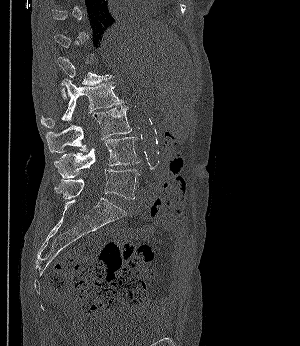 Spine CT. sagittal reformat. Boxes: x1:y1:x2:y2 in pixels. A vertebra gets a box only on the slices from the first to the last where its cross-section is at least a third of its largest; on a slice outside that range it gets none. Vertebrae labeled: L1 at 57:56:111:99, L2 at 41:79:123:127, L3 at 46:105:132:152, L4 at 54:137:140:178, L5 at 55:169:139:200.